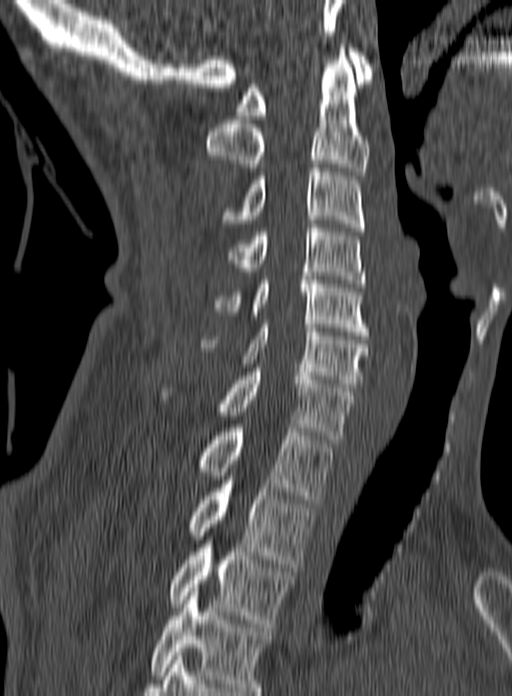 Spine CT. sagittal view. bone-window reconstruction. 512x696 px
Box values are [left, top, right, bottom] in pixels.
Labels in this scan begin with C1 at the top and end with T3 at the bottom.
{"vertebrae":{"C1":[235,48,375,119],"C2":[205,44,369,175],"C3":[218,164,365,231],"C4":[227,224,365,287],"C5":[213,276,368,335],"C6":[201,324,368,387],"C7":[160,368,354,443],"T1":[200,428,333,503],"T2":[188,480,314,567],"T3":[170,536,295,627]}}